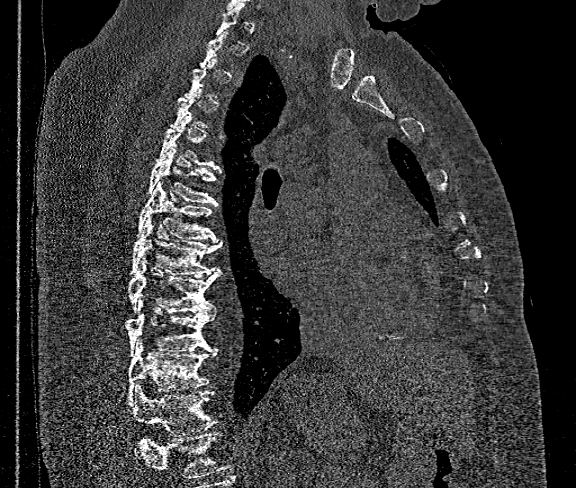 Spine CT · sagittal view · bone window · the image is 360 mm wide
Bounding boxes as [x1, y1, x2, y2] in pixel coordinates.
Each vertebra is boxed only on the slices from the first to the last where its cross-section reaches a third of its largest, so a slice outside that range leaves it unboxed.
Where the bottom of the scan cuts through a vertebra, that vertebra gets no label or box.
T6: [148, 149, 219, 204]
T7: [137, 182, 218, 241]
T8: [130, 217, 221, 276]
T9: [128, 258, 221, 311]
T10: [126, 300, 215, 355]
T11: [128, 340, 216, 403]
T12: [130, 388, 218, 456]